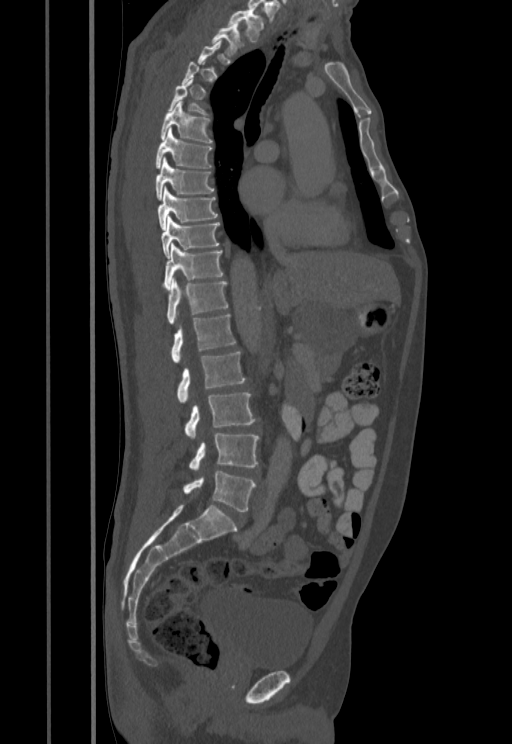
Computed tomography of the spine — sagittal view — 455 mm image width — 512x744 px
Each vertebra maps to its box as [x1, y1, x2, y2], the pixel coordinates of its top-left and bottom-right corners.
Each vertebra is boxed only on the slices from the first to the last where its cross-section reaches a third of its largest, so a slice outside that range leaves it unboxed.
{"vertebrae":{"T1":[228,8,265,41],"T2":[211,21,243,55],"T5":[169,79,208,116],"T6":[161,101,213,144],"T7":[155,128,212,168],"T8":[155,158,214,200],"T9":[157,187,217,228],"T10":[161,217,219,256],"T11":[163,243,223,290],"T12":[166,279,227,324],"L1":[171,314,235,363],"L2":[177,352,245,403],"L3":[184,392,255,438],"L4":[189,433,259,470],"L5":[183,471,255,511]}}